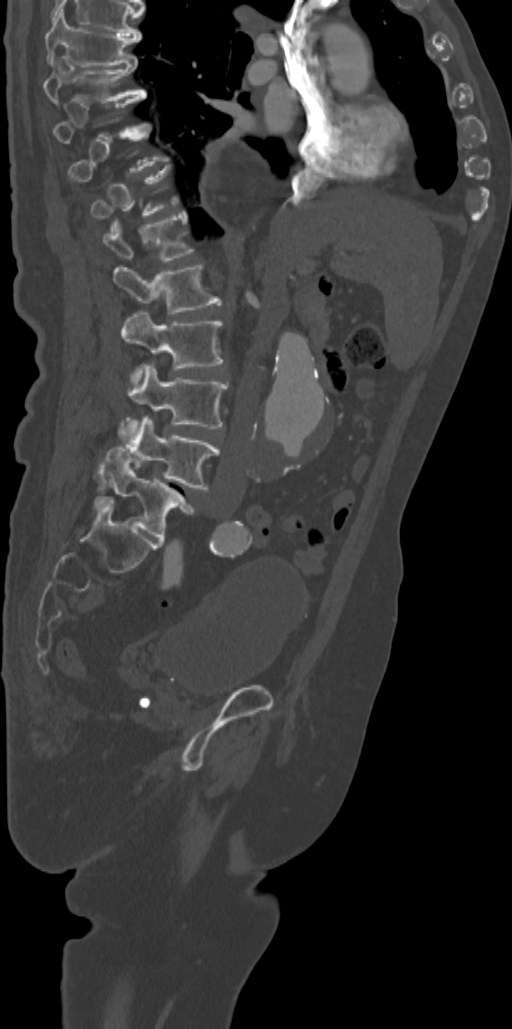

CT spine; sagittal view; W/L 1800/400 HU
Boxes are (x1, y1, x2, y2) in pixels.
A vertebra gets a box only on the slices from the first to the last where its cross-section is at least a third of its largest; on a slice outside that range it gets none.
Vertebra bounding boxes:
- L5: (94, 447, 193, 540)
- L4: (120, 418, 219, 489)
- L3: (125, 364, 228, 430)
- L2: (121, 310, 223, 381)
- L1: (114, 265, 220, 314)
- T12: (103, 211, 193, 260)
- T8: (43, 58, 145, 105)
- T7: (45, 9, 141, 66)